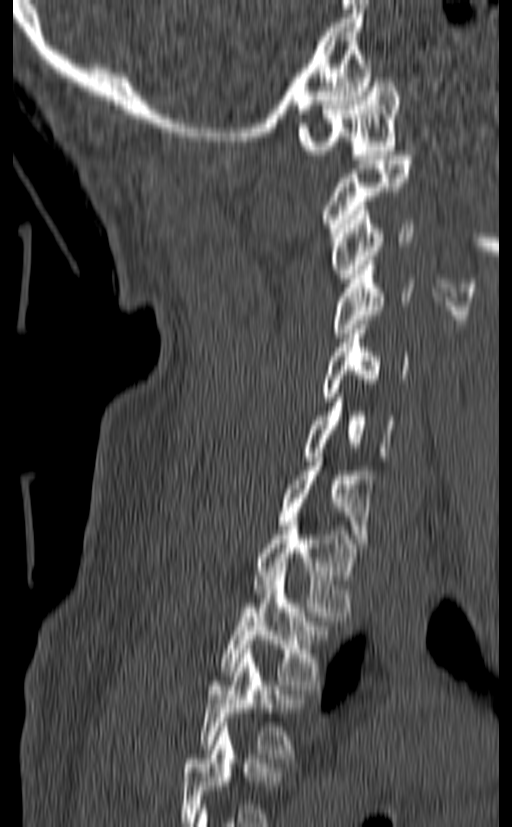

CT · sagittal reformat
Boxes below are [x1, y1, x2, y2] in pixels.
This scan's labels start at C1 at the top and end at T3 at the bottom.
{"vertebrae":{"T3":[199,649,306,762],"T2":[220,571,329,689],"T1":[254,521,356,616],"C7":[279,457,375,548],"C6":[301,393,395,461],"C5":[320,320,411,401],"C4":[330,265,415,337],"C3":[330,206,414,282],"C2":[320,155,414,232],"C1":[298,73,400,159]}}